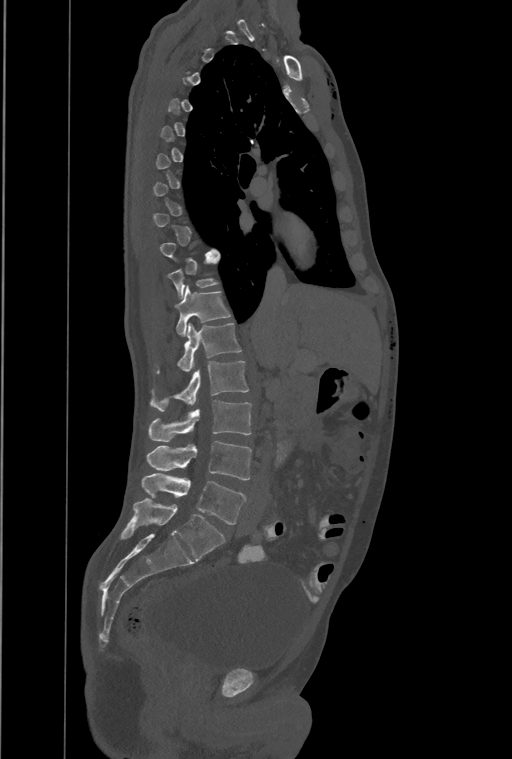

Spine CT. sagittal view. bone-window reconstruction
Bounding boxes as [x1, y1, x2, y2] in pixel coordinates.
Not every vertebra on this slice has a box: a vertebra is boxed only from the first to the last slice where its cross-section is at least a third of its largest, and this slice is outside that range for at least one of them.
Labels in this scan begin with T1 at the top and end with L4 at the bottom.
The labels name an extra thoracic vertebra here, T13, which comes after T12 and before L1.
T12: [175, 286, 229, 335]
T13: [157, 324, 241, 373]
L1: [151, 361, 248, 410]
L2: [148, 400, 251, 441]
L3: [146, 441, 251, 479]
L4: [142, 472, 245, 524]